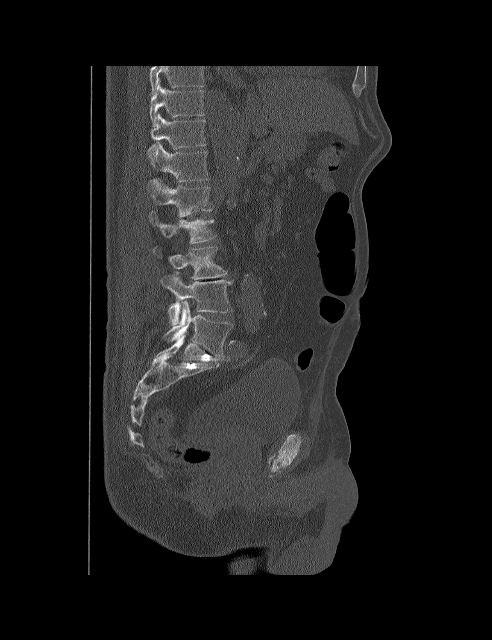

CT spine. sagittal view. bone window. 492x640 px. the image spans 492 mm across

Box edges are left/top/right/bottom in pixels.
The highest labeled vertebra in this scan is T10; the lowest is L5.
| vertebra | x1 | y1 | x2 | y2 |
|---|---|---|---|---|
| T10 | 150 | 84 | 204 | 127 |
| T11 | 148 | 114 | 206 | 157 |
| T12 | 150 | 142 | 208 | 181 |
| L1 | 146 | 179 | 212 | 217 |
| L2 | 149 | 211 | 216 | 243 |
| L3 | 153 | 246 | 227 | 279 |
| L4 | 161 | 271 | 234 | 326 |
| L5 | 164 | 300 | 232 | 357 |